Spine CT — sagittal reformat — 512x905 px — 11 vertebrae labeled in this scan
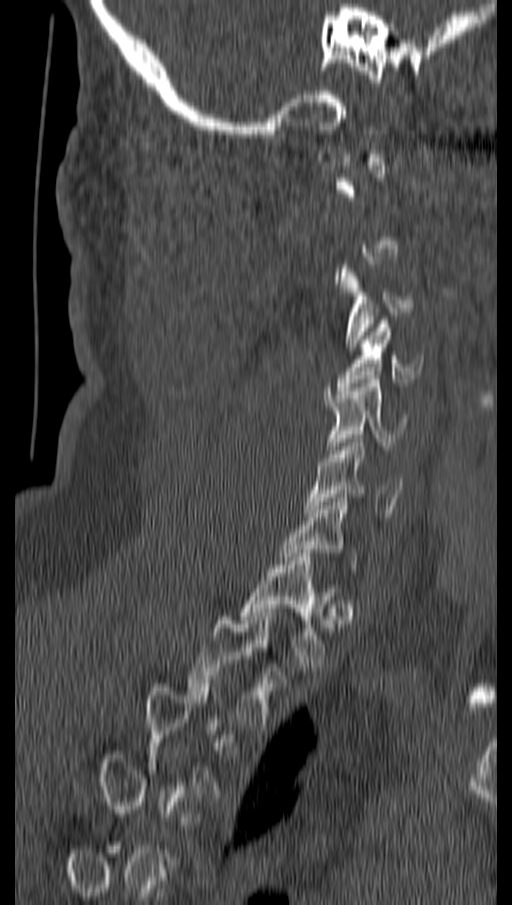

Each row gives a vertebra's box as x1, y1, x2, y2 in pixels: top-left corner, then bottom-right corner.
Each vertebra is boxed only on the slices from the first to the last where its cross-section reaches a third of its largest, so a slice outside that range leaves it unboxed.
| vertebra | x1 | y1 | x2 | y2 |
|---|---|---|---|---|
| T2 | 188 | 612 | 275 | 726 |
| T1 | 241 | 553 | 333 | 667 |
| C6 | 304 | 435 | 402 | 513 |
| C5 | 326 | 379 | 406 | 453 |
| C4 | 336 | 320 | 423 | 390 |
| C3 | 340 | 265 | 411 | 351 |